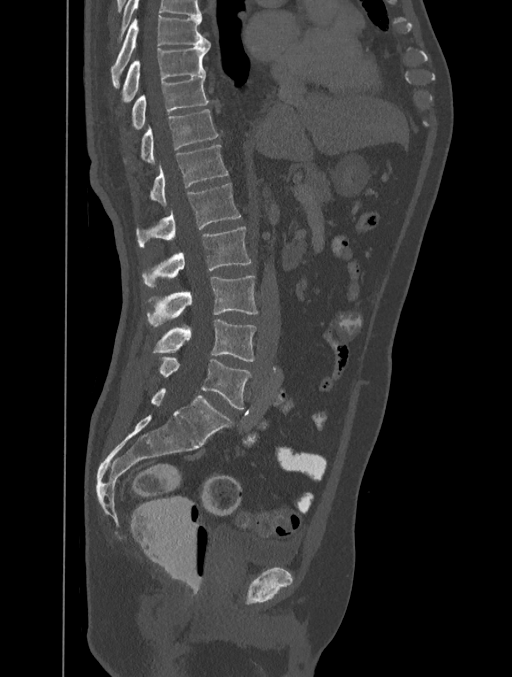

Spine CT · sagittal view · W/L 1800/400 HU · 512x677 px
Labels in this scan begin with T8 at the top and end with L5 at the bottom.
<vertebrae><v name="T8" x1="111" y1="15" x2="210" y2="89"/><v name="T9" x1="122" y1="45" x2="210" y2="101"/><v name="T10" x1="131" y1="75" x2="208" y2="129"/><v name="T11" x1="140" y1="109" x2="218" y2="162"/><v name="T12" x1="151" y1="145" x2="227" y2="206"/><v name="L1" x1="136" y1="183" x2="240" y2="247"/><v name="L2" x1="142" y1="226" x2="250" y2="286"/><v name="L3" x1="147" y1="276" x2="258" y2="327"/><v name="L4" x1="153" y1="319" x2="255" y2="361"/><v name="L5" x1="159" y1="357" x2="250" y2="409"/></vertebrae>